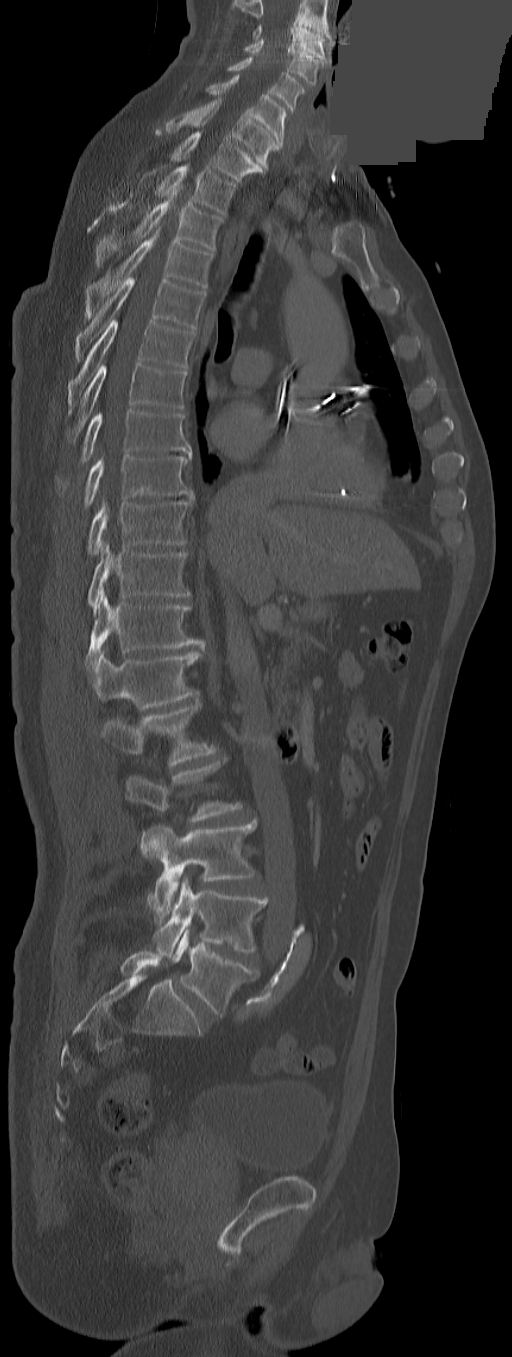 CT spine · sagittal view · W/L 1800/400 HU · 512x1357 px · image width 291 mm · some of the image was removed or blocked out with constant pixels
Box values are [left, top, right, bottom] in pixels.
Labels in this scan begin with C3 at the top and end with L5 at the bottom.
The labels name an extra thoracic vertebra here, T13, which comes after T12 and before L1.
{"vertebrae":{"C3":[251,25,324,59],"C4":[244,39,323,85],"C5":[227,57,304,111],"C6":[206,74,286,147],"C7":[166,98,279,168],"T1":[171,131,264,181],"T2":[108,166,235,214],"T3":[95,198,223,265],"T4":[85,231,212,318],"T5":[76,278,205,360],"T6":[67,320,195,408],"T7":[67,363,188,441],"T8":[58,410,191,489],"T9":[83,454,193,508],"T10":[87,502,189,554],"T11":[87,542,189,616],"T12":[85,586,202,670],"T13":[90,648,203,709],"L1":[101,697,216,767],"L2":[125,757,242,857],"L3":[139,821,256,918],"L4":[153,877,267,956],"L5":[171,930,259,1017]}}